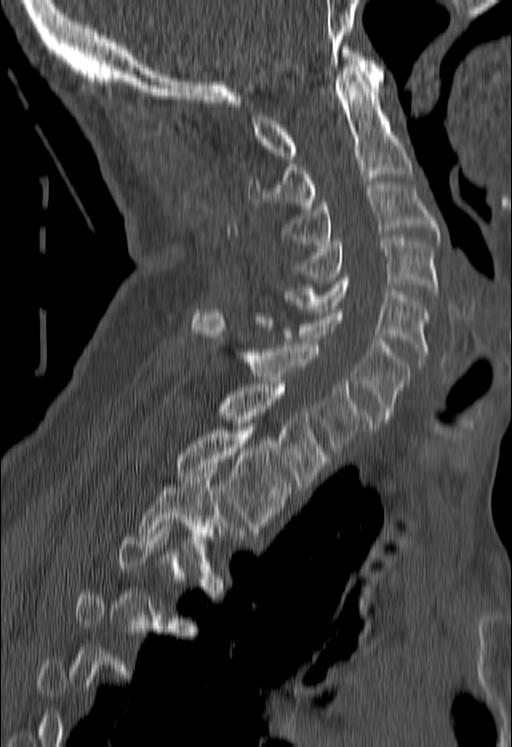

Spine computed tomography — sagittal view — bone-window reconstruction — 512x747 px — image 180 mm wide
Boxes: x1:y1:x2:y2 in pixels.
A vertebra gets a box only on the slices from the first to the last where its cross-section is at least a third of its largest; on a slice outside that range it gets none.
T3: 137:466:224:564
T2: 174:427:293:532
T1: 217:384:327:486
C7: 193:309:372:454
C6: 254:309:410:422
C5: 284:277:429:362
C4: 294:238:438:294
C3: 283:185:438:244
C2: 248:64:412:209
C1: 252:46:384:159